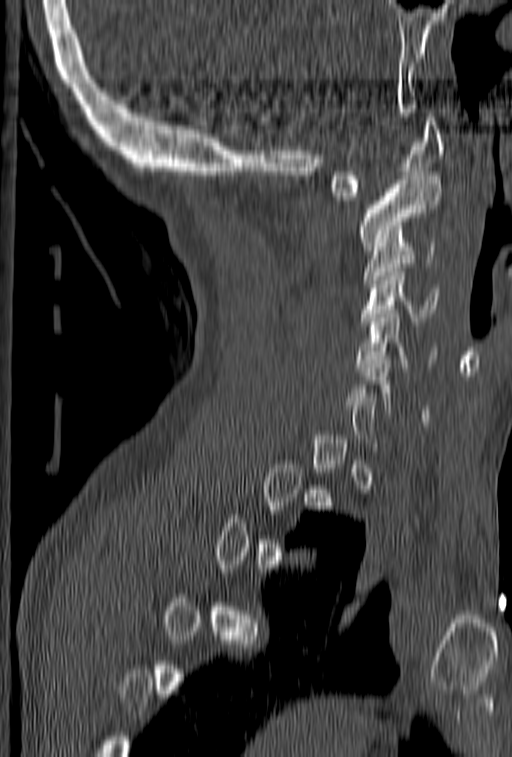 Spine computed tomography — image width 153 mm — sagittal reformat

Bounding boxes as [x1, y1, x2, y2] in pixel coordinates.
A vertebra gets a box only on the slices from the first to the last where its cross-section is at least a third of its largest; on a slice outside that range it gets none.
C1: [329, 117, 444, 200]
C2: [356, 172, 442, 250]
C3: [363, 238, 435, 283]
C4: [359, 264, 439, 325]
C5: [356, 301, 437, 371]
C6: [349, 356, 428, 421]